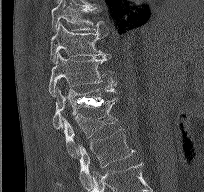
Spine CT. the image spans 204 mm across. sagittal view. 204x192 px
<vertebrae><v name="T9" x1="51" y1="0" x2="108" y2="32"/><v name="T10" x1="50" y1="22" x2="108" y2="63"/><v name="T11" x1="48" y1="53" x2="115" y2="96"/><v name="T12" x1="33" y1="87" x2="116" y2="130"/><v name="L1" x1="64" y1="98" x2="117" y2="158"/><v name="L2" x1="57" y1="128" x2="135" y2="185"/></vertebrae>